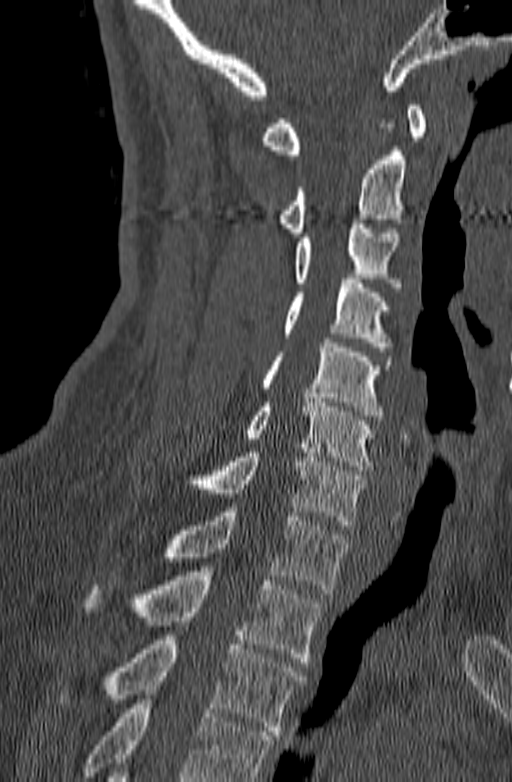
CT · sagittal view · W/L 1800/400 HU

Coordinates as <box>x1,y1,x2,y2</box>. A vertebra cut off by the bottom edge of the scan is not labeled and has no box. 10 vertebrae labeled — C1 at <box>260,105,426,159</box>; C2 at <box>276,119,406,237</box>; C3 at <box>294,219,401,292</box>; C4 at <box>283,279,392,351</box>; C5 at <box>261,338,392,420</box>; C6 at <box>182,398,375,470</box>; C7 at <box>144,448,366,529</box>; T1 at <box>161,507,351,593</box>; T2 at <box>84,571,322,662</box>; T3 at <box>104,631,305,735</box>.